CT · Sagittal slice 273/512 · bone-window reconstruction · 523x792 px · 18 vertebrae labeled in this scan
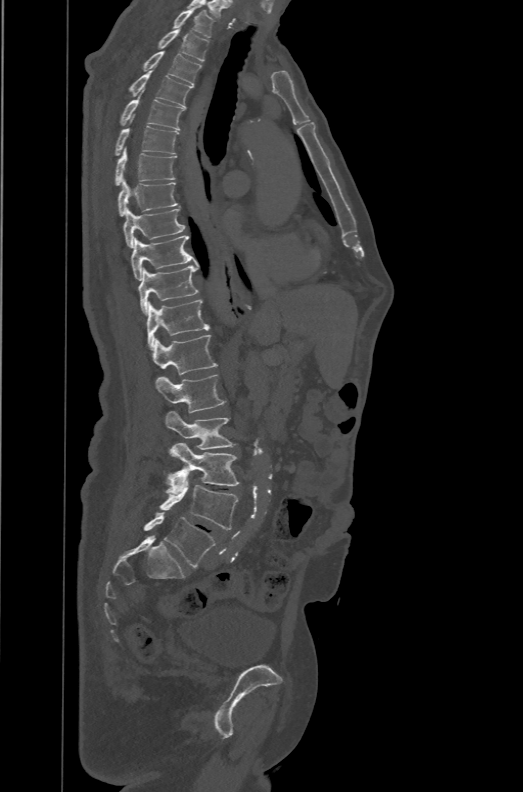

Box edges are left/top/right/bottom in pixels.
The labels name a sixth lumbar vertebra for this spine: L6, after L5.
T1: left=172, top=6, right=215, bottom=38
T2: left=157, top=28, right=209, bottom=61
T3: left=142, top=51, right=201, bottom=85
T4: left=129, top=68, right=193, bottom=108
T5: left=120, top=92, right=184, bottom=130
T6: left=114, top=114, right=179, bottom=155
T7: left=114, top=146, right=177, bottom=185
T8: left=118, top=179, right=178, bottom=215
T9: left=123, top=207, right=184, bottom=247
T10: left=131, top=235, right=198, bottom=280
T11: left=138, top=265, right=198, bottom=315
T12: left=146, top=299, right=209, bottom=349
L1: left=152, top=334, right=217, bottom=374
L2: left=155, top=374, right=226, bottom=412
L3: left=166, top=411, right=235, bottom=449
L4: left=166, top=443, right=239, bottom=494
L5: left=159, top=471, right=238, bottom=529
L6: left=143, top=512, right=215, bottom=567